CT, spine. sagittal view. 317 mm wide. bone-window reconstruction. 317x559 px
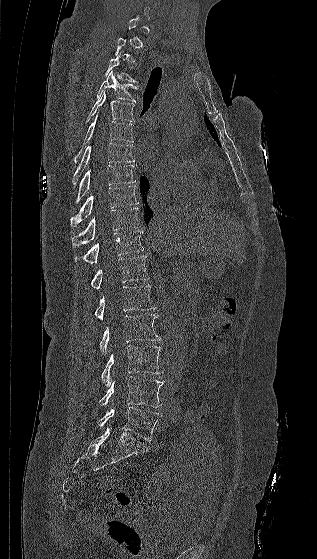

Coordinates as <box>x1,y1,x2,y2</box>.
A vertebra gets a box only on the slices from the first to the last where its cross-section is at least a third of its largest; on a slice outside that range it gets none.
Vertebra bounding boxes:
- T3: <box>104,52,137,82</box>
- T4: <box>96,71,136,101</box>
- T5: <box>86,91,135,122</box>
- T6: <box>69,113,133,163</box>
- T7: <box>72,142,134,187</box>
- T8: <box>75,165,135,203</box>
- T9: <box>70,185,139,226</box>
- T10: <box>71,208,140,246</box>
- T11: <box>74,231,143,263</box>
- T12: <box>90,255,149,289</box>
- L1: <box>94,285,156,320</box>
- L2: <box>99,314,161,354</box>
- L3: <box>101,345,162,387</box>
- L4: <box>99,376,163,407</box>
- L5: <box>96,407,161,441</box>